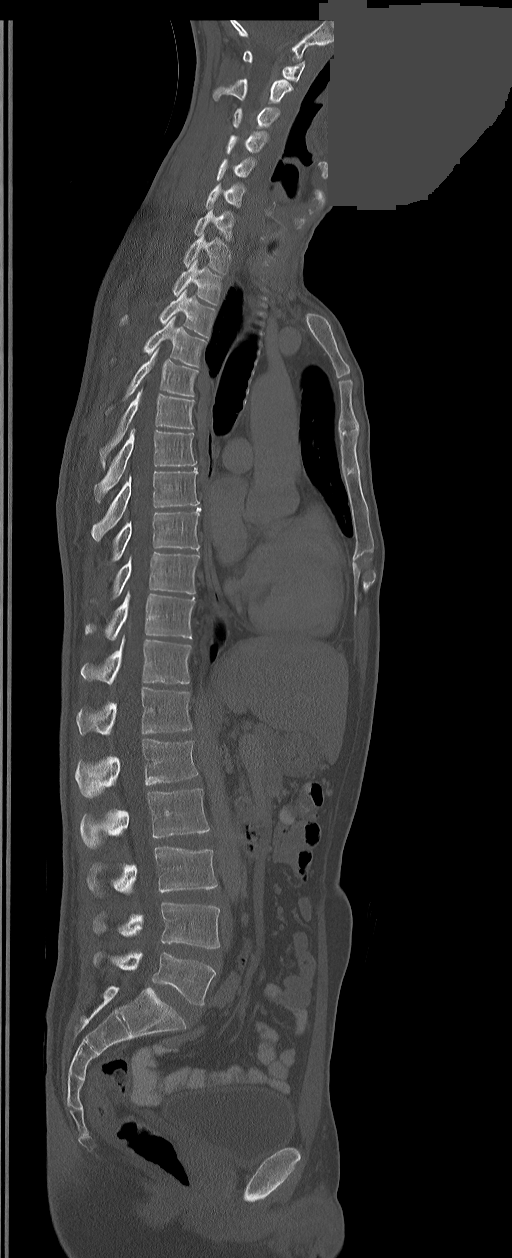
CT. sagittal reformat. an area of the scan was removed and filled with constant pixels
Box edges are left/top/right/bottom in pixels. In these labels the spine has an L6, a sixth lumbar vertebra below L5. The labeled vertebrae in this slice are: C1 at left=243, top=51, right=305, bottom=81, C2 at left=214, top=79, right=292, bottom=103, C3 at left=233, top=107, right=279, bottom=128, C4 at left=226, top=132, right=267, bottom=153, C5 at left=217, top=158, right=254, bottom=181, C6 at left=205, top=185, right=245, bottom=208, C7 at left=193, top=208, right=233, bottom=241, T1 at left=183, top=234, right=230, bottom=274, T2 at left=173, top=261, right=222, bottom=305, T3 at left=120, top=289, right=216, bottom=337, T4 at left=144, top=316, right=205, bottom=366, T5 at left=123, top=347, right=197, bottom=400, T6 at left=100, top=389, right=194, bottom=467, T7 at left=94, top=429, right=195, bottom=501, T8 at left=91, top=468, right=198, bottom=540, T9 at left=111, top=506, right=201, bottom=561, T10 at left=113, top=552, right=200, bottom=598, T11 at left=85, top=593, right=195, bottom=640, T12 at left=81, top=637, right=191, bottom=684, L1 at left=76, top=686, right=191, bottom=735, L2 at left=75, top=739, right=197, bottom=798, L3 at left=81, top=789, right=210, bottom=848, L4 at left=87, top=847, right=217, bottom=893, L5 at left=94, top=903, right=219, bottom=949, L6 at left=94, top=953, right=216, bottom=1006.